CT spine. the image is 204 mm wide. sagittal view. bone window. 204x192 px. scan covers 6 annotated vertebrae
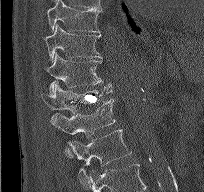

Each box given as x1,y1,x2,y2.
| vertebra | x1 | y1 | x2 | y2 |
|---|---|---|---|---|
| T9 | 47 | 0 | 101 | 32 |
| T10 | 43 | 23 | 101 | 63 |
| T11 | 46 | 53 | 111 | 93 |
| T12 | 41 | 84 | 112 | 114 |
| L1 | 51 | 99 | 115 | 157 |
| L2 | 71 | 129 | 131 | 184 |